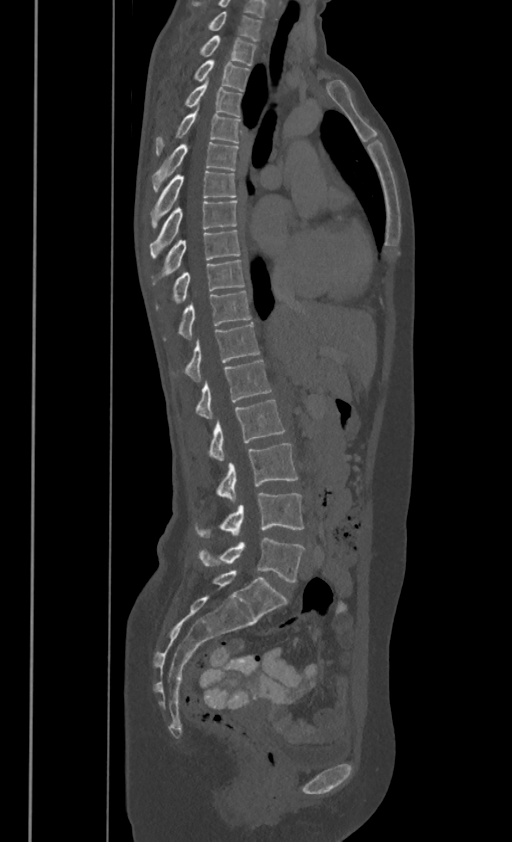
Computed tomography of the spine. sagittal reformat
Box edges are left/top/right/bottom in pixels.
In these labels the thoracic vertebrae end at T11, so L1 follows T11.
Vertebra bounding boxes:
- C7: left=207, top=11, right=260, bottom=40
- T1: left=199, top=35, right=256, bottom=63
- T2: left=193, top=60, right=248, bottom=89
- T3: left=184, top=79, right=242, bottom=115
- T4: left=156, top=109, right=240, bottom=154
- T5: left=152, top=142, right=238, bottom=190
- T6: left=152, top=170, right=235, bottom=226
- T7: left=150, top=199, right=236, bottom=257
- T8: left=152, top=229, right=240, bottom=282
- T9: left=156, top=258, right=244, bottom=308
- T10: left=163, top=290, right=251, bottom=338
- T11: left=184, top=322, right=259, bottom=380
- L1: left=195, top=359, right=271, bottom=417
- L2: left=208, top=399, right=284, bottom=460
- L3: left=216, top=443, right=297, bottom=500
- L4: left=195, top=493, right=304, bottom=537
- L5: left=199, top=538, right=304, bottom=582